CT; the image spans 197 mm across; sagittal plane, index 79; 197x180 px; part of the image is constant black where the scan was masked
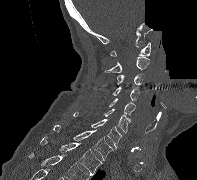
Box edges are left/top/right/bottom in pixels.
T2: left=40, top=137, right=102, bottom=175
T1: left=53, top=125, right=113, bottom=160
C7: left=73, top=111, right=121, bottom=148
C6: left=103, top=108, right=130, bottom=132
C5: left=109, top=98, right=135, bottom=115
C4: left=112, top=87, right=139, bottom=100
C3: left=99, top=73, right=144, bottom=86
C2: left=104, top=57, right=149, bottom=72
C1: left=110, top=42, right=150, bottom=56